CT, spine; Sagittal slice 70/132; bone window; 512x1532 px
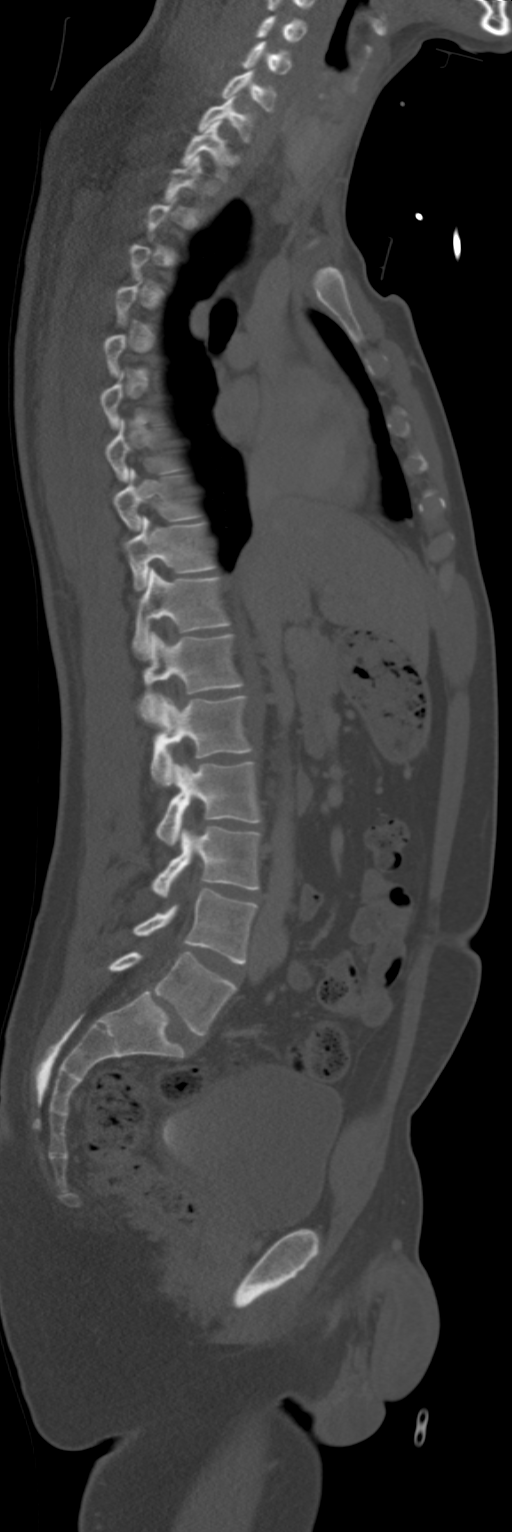 Boxes are given in columns x1, y1, x2, y2, the pixel coordinates of their top-left and bottom-right corners.
A vertebra is boxed only from the first to the last slice where its cross-section is at least a third of its largest; slices outside that range leave it without a box.
| vertebra | x1 | y1 | x2 | y2 |
|---|---|---|---|---|
| C4 | 256 | 16 | 307 | 41 |
| C5 | 241 | 41 | 292 | 74 |
| C6 | 222 | 69 | 276 | 110 |
| C7 | 198 | 97 | 254 | 143 |
| T1 | 181 | 120 | 229 | 181 |
| T8 | 106 | 419 | 175 | 481 |
| T9 | 113 | 468 | 196 | 530 |
| T10 | 125 | 516 | 213 | 590 |
| T11 | 132 | 568 | 229 | 660 |
| T12 | 140 | 632 | 242 | 721 |
| L1 | 151 | 696 | 252 | 785 |
| L2 | 155 | 761 | 261 | 846 |
| L3 | 151 | 826 | 259 | 897 |
| L4 | 132 | 889 | 257 | 964 |
| L5 | 109 | 951 | 236 | 1035 |